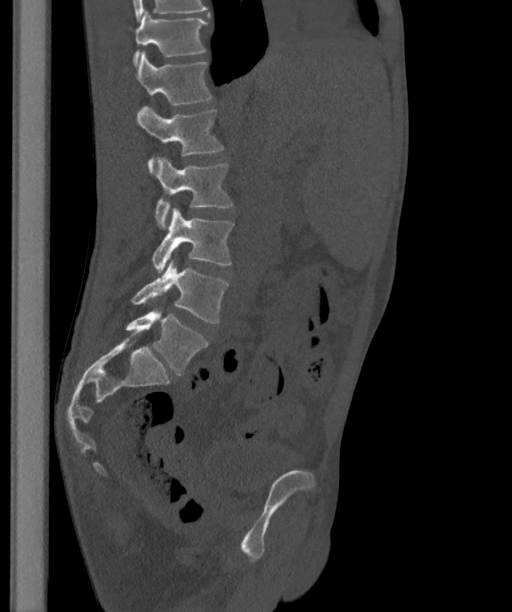
Spine CT · 363 mm image width · sagittal reformat
These labels give the spine a sixth lumbar vertebra, L6, below L5.
<vertebrae><v name="T12" x1="133" y1="10" x2="208" y2="65"/><v name="L1" x1="125" y1="51" x2="212" y2="104"/><v name="L2" x1="137" y1="105" x2="223" y2="173"/><v name="L3" x1="155" y1="156" x2="232" y2="229"/><v name="L4" x1="152" y1="208" x2="233" y2="272"/><v name="L5" x1="132" y1="259" x2="227" y2="323"/><v name="L6" x1="125" y1="308" x2="208" y2="373"/></vertebrae>